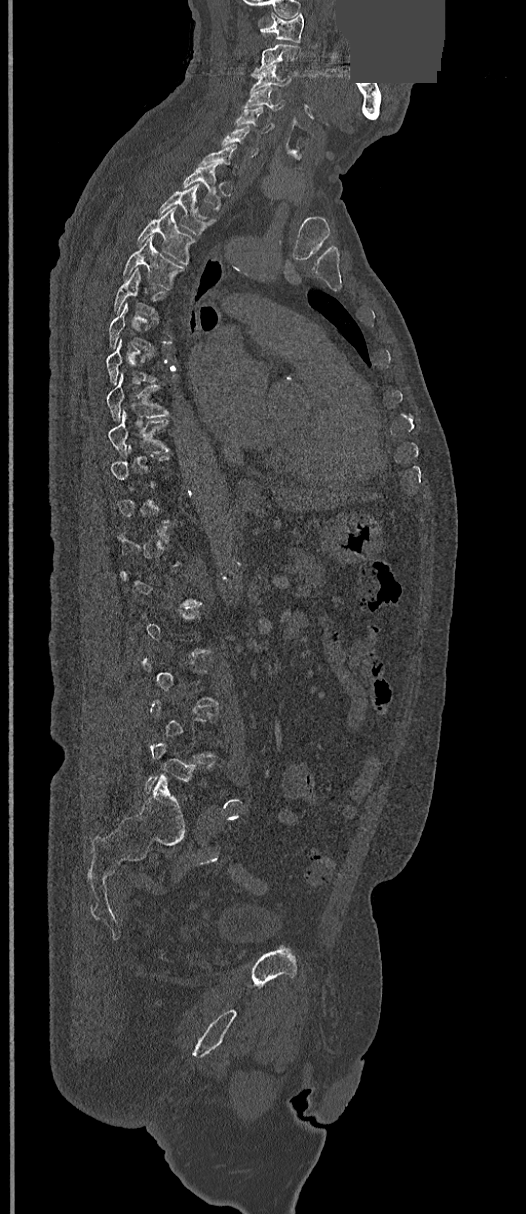 CT spine; the image spans 368 mm across; sagittal view; W/L 1800/400 HU; 526x1214 px; part of the image is a flat gray fill, not anatomy

Boxes: x1 y1 x2 y2 (pixel coords, space-separated).
A vertebra gets a box only on the slices from the first to the last where its cross-section is at least a third of its largest; on a slice outside that range it gets none.
C1: 260 14 303 42
C2: 252 44 300 76
C3: 252 64 291 88
C4: 244 87 283 110
C5: 234 106 275 133
C6: 221 126 259 156
T1: 183 165 220 209
T2: 158 184 213 235
T3: 137 208 196 265
T4: 122 237 182 288
T5: 113 268 166 319
T8: 107 373 168 419
T9: 109 410 170 455